Computed tomography of the spine; sagittal view; bone window; 512x651 px; 345 mm across the image
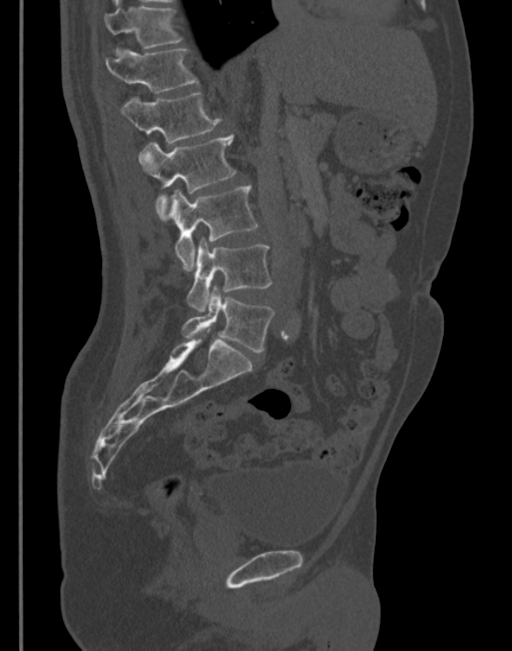

Each vertebra maps to its box as [x1, y1, x2, y2], the pixel coordinates of its top-left and bottom-right corners.
{"vertebrae":{"T11":[104,4,181,48],"T12":[105,46,198,93],"L1":[121,93,221,144],"L2":[138,134,236,220],"L3":[169,185,258,270],"L4":[187,240,272,311],"L5":[181,287,273,352]}}